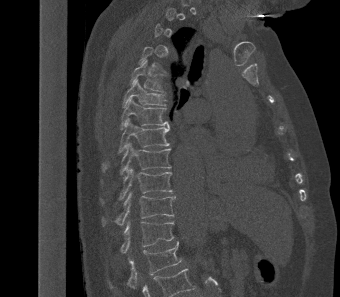 Computed tomography of the spine. sagittal view. 340 mm wide. 340x297 px
Each row gives a vertebra's box as x1, y1, x2, y2 in pixels: top-left corner, then bottom-right corner.
A vertebra is boxed only from the first to the last slice where its cross-section is at least a third of its largest; slices outside that range leave it without a box.
| vertebra | x1 | y1 | x2 | y2 |
|---|---|---|---|---|
| T5 | 129 | 60 | 163 | 92 |
| T6 | 122 | 79 | 165 | 107 |
| T7 | 120 | 97 | 169 | 130 |
| T8 | 103 | 118 | 169 | 170 |
| T9 | 119 | 142 | 171 | 175 |
| T10 | 101 | 166 | 172 | 203 |
| T11 | 102 | 192 | 175 | 226 |
| T12 | 120 | 221 | 174 | 253 |
| L1 | 109 | 241 | 181 | 288 |